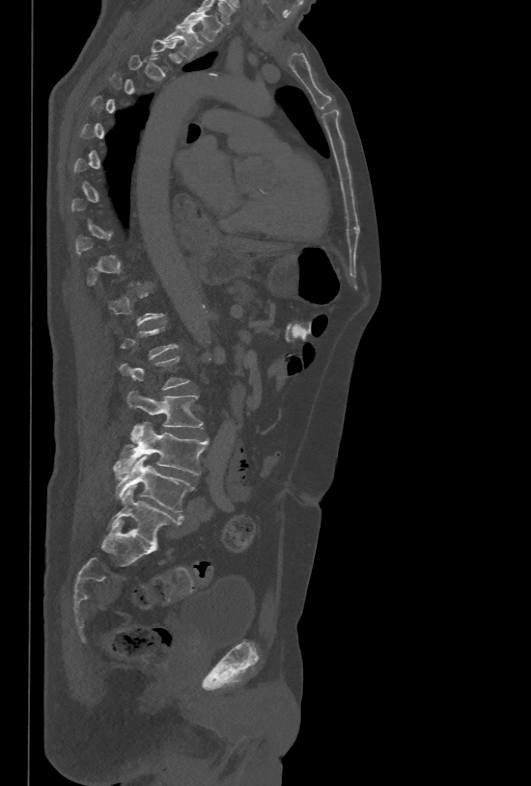
CT spine. sagittal reformat. Bone window (WL 400, WW 1800). 531x786 px. Each box given as x1,y1,x2,y2. Each vertebra is boxed only on the slices from the first to the last where its cross-section reaches a third of its largest, so a slice outside that range leaves it unboxed. 5 vertebrae labeled — T1 at x1=182, y1=10, x2=222, y2=41; T2 at x1=163, y1=25, x2=203, y2=59; L3 at x1=127, y1=390, x2=202, y2=427; L4 at x1=113, y1=422, x2=208, y2=476; L5 at x1=115, y1=456, x2=193, y2=513.